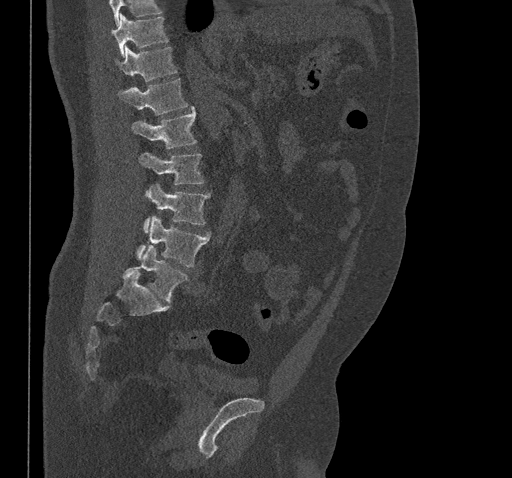
CT spine; sagittal view; the image is 461 mm wide
Boxes: x1:y1:x2:y2 in pixels. Vertebrae that run past the top of the scan are left unlabeled. Vertebrae labeled: T10 at 111:15:167:56, T11 at 117:46:176:81, T12 at 118:78:187:115, L1 at 131:107:196:148, L2 at 139:152:203:184, L3 at 143:184:209:233, L4 at 136:216:209:266, L5 at 123:246:187:303.